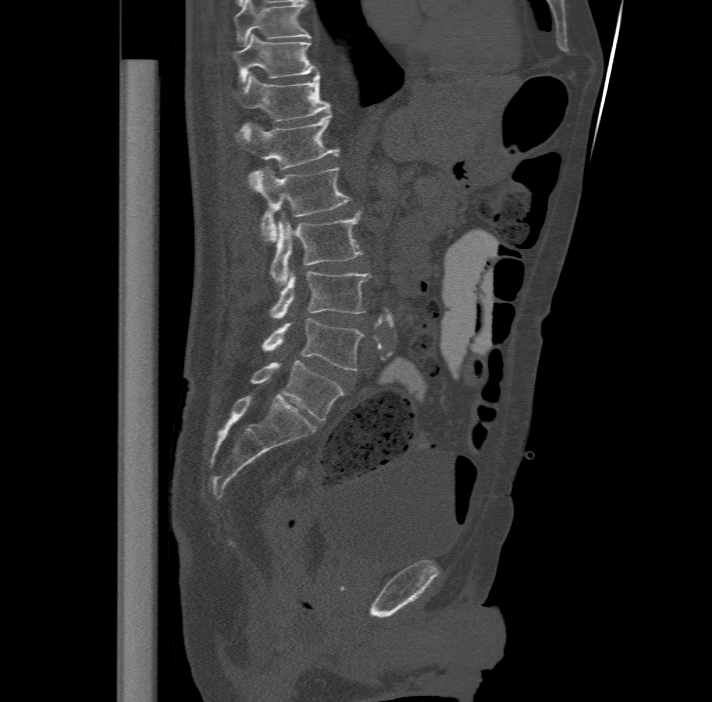

CT, spine · sagittal reformat

Boxes are (x1, y1, x2, y2) in pixels.
This scan's labels start at T11 at the top and end at L6 at the bottom.
In these labels the spine has an L6, a sixth lumbar vertebra below L5.
T11: (231, 33, 317, 82)
T12: (232, 71, 330, 120)
L1: (234, 113, 338, 167)
L2: (249, 167, 351, 241)
L3: (270, 212, 362, 285)
L4: (270, 270, 370, 318)
L5: (263, 318, 363, 370)
L6: (250, 360, 344, 421)